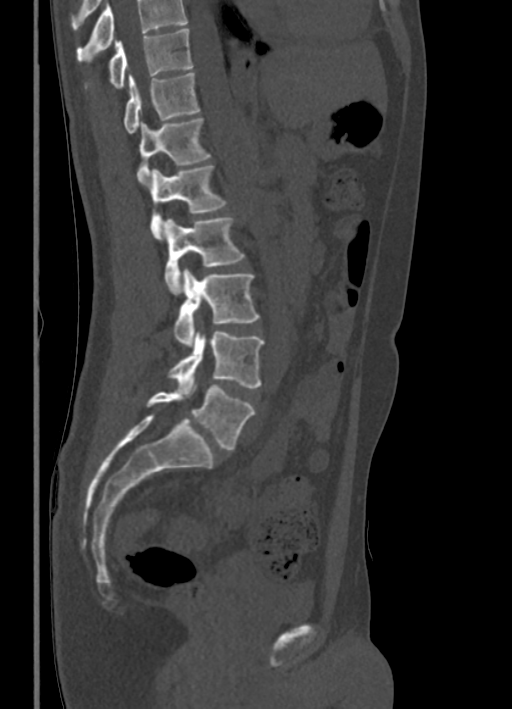

Computed tomography of the spine; sagittal view

No box is given to a vertebra that the top edge of the scan cuts off.
<vertebrae><v name="L5" x1="146" y1="385" x2="255" y2="450"/><v name="L4" x1="167" y1="331" x2="264" y2="389"/><v name="L3" x1="174" y1="268" x2="259" y2="347"/><v name="L2" x1="164" y1="216" x2="244" y2="293"/><v name="L1" x1="149" y1="165" x2="226" y2="238"/><v name="T12" x1="137" y1="117" x2="211" y2="183"/><v name="T11" x1="123" y1="73" x2="200" y2="133"/><v name="T10" x1="108" y1="29" x2="192" y2="87"/></vertebrae>